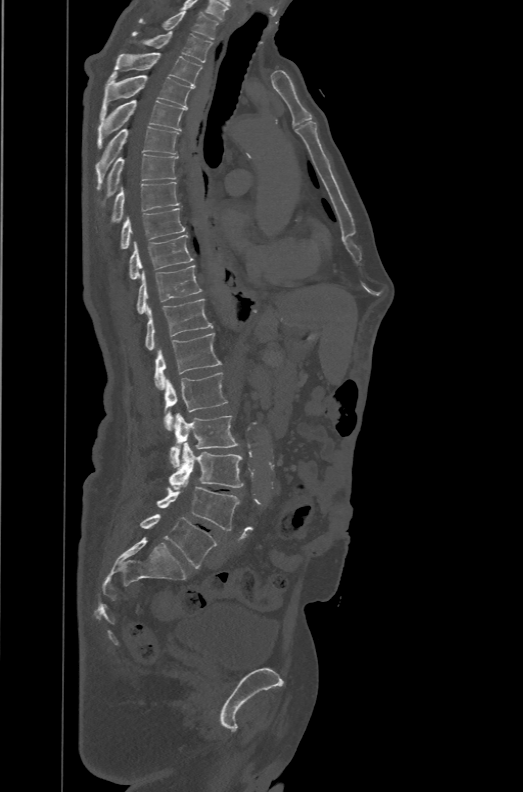
CT, spine; sagittal view; bone-window reconstruction; 471 mm wide
Boxes: x1:y1:x2:y2 in pixels.
In these labels the spine has an L6, a sixth lumbar vertebra below L5.
T1: 138:11:218:39
T2: 132:31:213:62
T3: 113:52:201:87
T4: 100:71:193:122
T5: 97:100:186:148
T6: 95:126:179:190
T7: 97:154:178:205
T8: 112:182:179:221
T9: 121:208:186:249
T10: 129:234:193:279
T11: 137:265:201:314
T12: 145:298:213:350
L1: 154:333:221:389
L2: 164:372:227:430
L3: 170:413:238:467
L4: 169:442:242:490
L5: 156:486:239:530
L6: 140:514:216:568